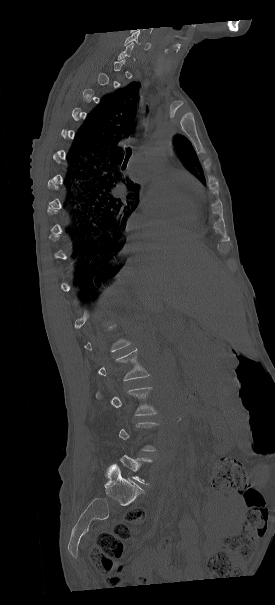

CT — sagittal view
Bounding boxes as [x1, y1, x2, y2] in pixel coordinates. Not every vertebra on this slice has a box: a vertebra is boxed only from the first to the last slice where its cross-section is at least a third of its largest, and this slice is outside that range for at least one of them. The labeled vertebrae in this slice are: L1 at [84, 323, 131, 351], L2 at [96, 349, 150, 380], L3 at [95, 387, 158, 415].